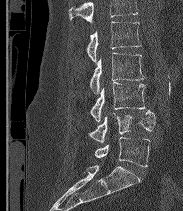
Computed tomography of the spine; sagittal reformat
Vertebrae that run past the top of the scan are left unlabeled.
In these labels the spine has an L6, a sixth lumbar vertebra below L5.
<vertebrae><v name="L2" x1="86" y1="22" x2="141" y2="62"/><v name="L3" x1="90" y1="53" x2="145" y2="93"/><v name="L4" x1="90" y1="81" x2="145" y2="122"/><v name="L5" x1="89" y1="110" x2="155" y2="143"/><v name="L6" x1="94" y1="137" x2="149" y2="166"/></vertebrae>